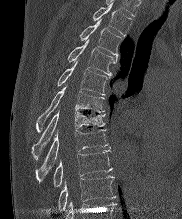
CT, spine · sagittal view · 182 mm wide · bone-window reconstruction
Coordinates as <box>x1,y1,x2,y2</box>.
Vertebra bounding boxes:
- T2: <box>93,3,131,35</box>
- T3: <box>80,19,122,56</box>
- T4: <box>68,39,116,76</box>
- T5: <box>57,60,108,95</box>
- T6: <box>36,85,104,132</box>
- T7: <box>31,111,105,159</box>
- T8: <box>36,129,107,178</box>
- T9: <box>53,149,112,186</box>
- T10: <box>58,176,115,210</box>